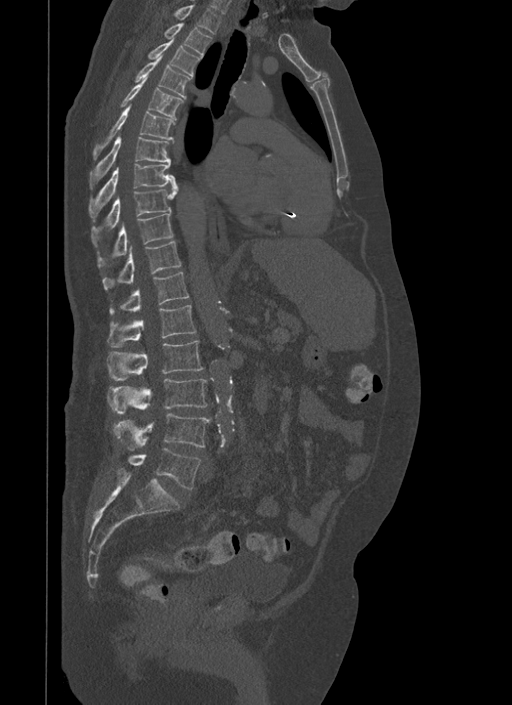
Spine CT. the image spans 500 mm across. sagittal view

<vertebrae><v name="T1" x1="173" y1="4" x2="220" y2="34"/><v name="T2" x1="164" y1="23" x2="211" y2="58"/><v name="T3" x1="148" y1="38" x2="201" y2="78"/><v name="T4" x1="136" y1="55" x2="189" y2="99"/><v name="T5" x1="120" y1="76" x2="183" y2="120"/><v name="T6" x1="93" y1="104" x2="174" y2="159"/><v name="T7" x1="90" y1="135" x2="173" y2="188"/><v name="T8" x1="88" y1="163" x2="176" y2="220"/><v name="T9" x1="91" y1="185" x2="178" y2="247"/><v name="T10" x1="97" y1="213" x2="173" y2="267"/><v name="T11" x1="102" y1="241" x2="181" y2="290"/><v name="T12" x1="109" y1="271" x2="189" y2="314"/><v name="L1" x1="107" y1="305" x2="196" y2="347"/><v name="L2" x1="107" y1="340" x2="204" y2="380"/><v name="L3" x1="107" y1="379" x2="207" y2="414"/><v name="L4" x1="112" y1="413" x2="210" y2="450"/><v name="L5" x1="127" y1="449" x2="200" y2="488"/></vertebrae>